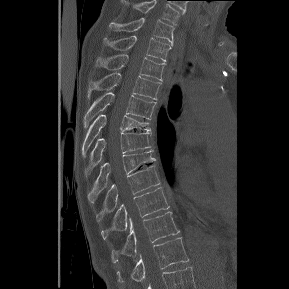 Spine computed tomography; 289 mm across the image; sagittal view; Bone window (WL 400, WW 1800); 289x289 px
Boxes: x1:y1:x2:y2 in pixels. The highest labeled vertebra in this scan is T1; the lowest is T12. Vertebrae labeled: T12 at 117:237:188:282, T11 at 111:211:179:263, T10 at 101:187:169:239, T9 at 96:165:160:221, T8 at 88:150:156:202, T7 at 85:132:151:174, T6 at 82:114:150:157, T5 at 84:92:155:127, T4 at 88:72:161:99, T3 at 96:54:165:80, T2 at 103:35:171:61, T1 at 109:18:174:44.